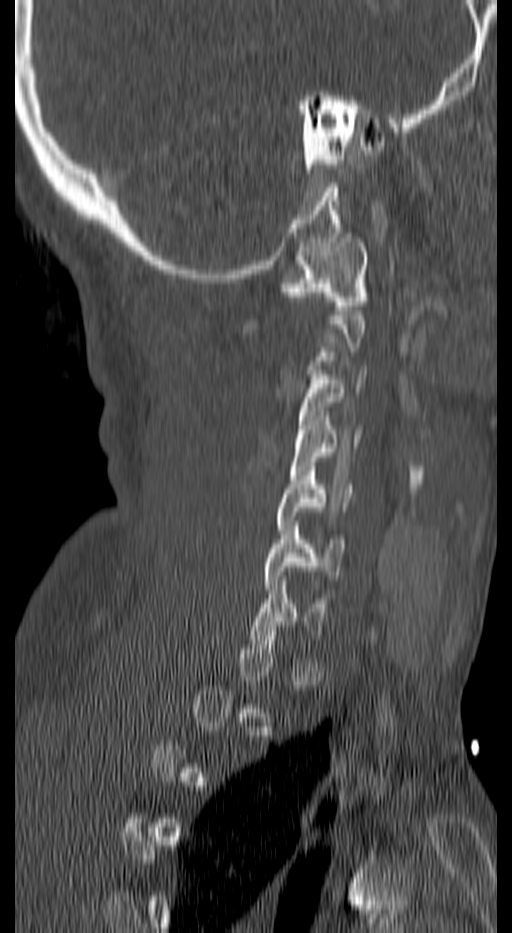 CT spine; sagittal view
Box values are [left, top, right, bottom] in pixels.
Not every vertebra on this slice has a box: a vertebra is boxed only from the first to the last slice where its cross-section is at least a third of its largest, and this slice is outside that range for at least one of them.
{"vertebrae":{"C1":[283,233,366,314],"C3":[298,370,366,438],"C4":[290,411,362,479],"C5":[276,466,351,534],"C6":[265,521,344,593],"C7":[250,581,326,644]}}